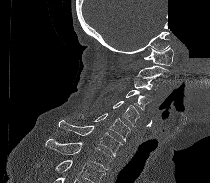 Spine computed tomography; sagittal view; the image is 210 mm wide; bone window; part of the image is constant black where the scan was masked. Box edges are left/top/right/bottom in pixels.
Vertebrae that run past the bottom of the scan are left unlabeled.
C1: left=144, top=47, right=173, bottom=65
C2: left=133, top=65, right=169, bottom=78
C3: left=133, top=78, right=158, bottom=90
C4: left=126, top=90, right=152, bottom=110
C5: left=113, top=101, right=139, bottom=126
C6: left=79, top=113, right=130, bottom=143
C7: left=56, top=120, right=121, bottom=156
T1: left=45, top=139, right=113, bottom=170